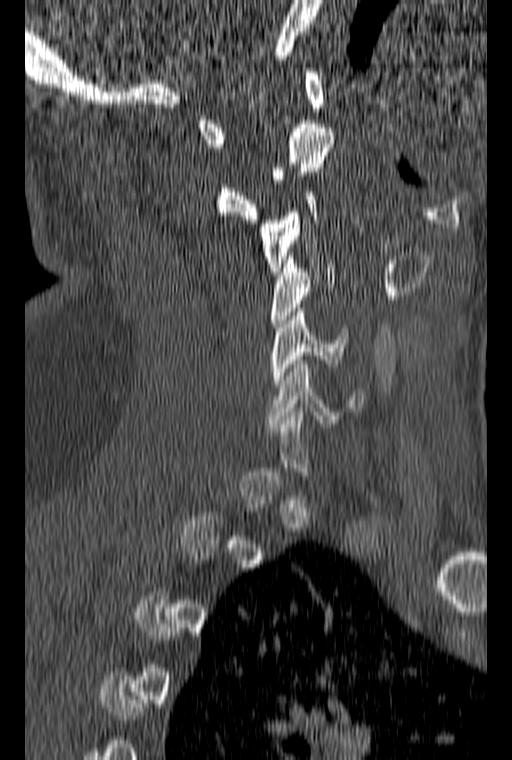
Computed tomography of the spine. sagittal view. image 160 mm wide. Coordinates as <box>x1,y1,x2,y2</box>.
A vertebra is boxed only from the first to the last slice where its cross-section is at least a third of its largest; slices outside that range leave it without a box.
C1: <box>197,68,325,147</box>
C2: <box>217,124,334,223</box>
C3: <box>260,188,318,271</box>
C4: <box>271,252,334,327</box>
C5: <box>272,308,348,387</box>
C6: <box>267,356,362,427</box>